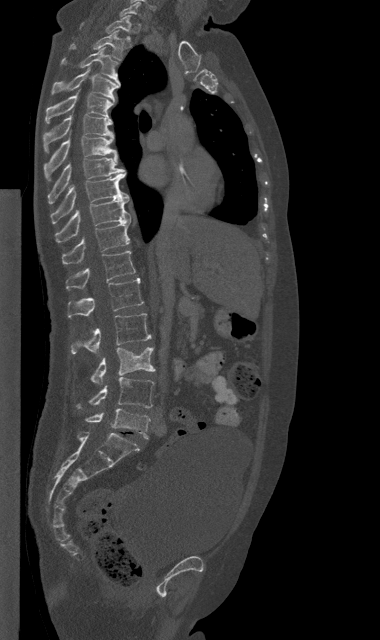
Computed tomography of the spine; sagittal view; bone window
Box values are [left, top, right, bottom] in pixels.
{"vertebrae":{"C7":[120,2,140,16],"T1":[79,15,131,40],"T2":[70,30,123,60],"T3":[62,47,119,84],"T4":[51,67,120,102],"T5":[45,93,112,123],"T6":[43,114,113,152],"T7":[43,136,117,180],"T8":[48,157,126,202],"T9":[51,172,128,223],"T10":[55,198,130,242],"T11":[62,220,130,264],"T12":[66,251,135,289],"L1":[68,278,143,317],"L2":[71,314,151,354],"L3":[91,347,155,385],"L4":[77,377,153,408],"L5":[85,408,150,438]}}